CT. sagittal reformat. 371x594 px. the image spans 371 mm across. 15 vertebrae labeled in this scan
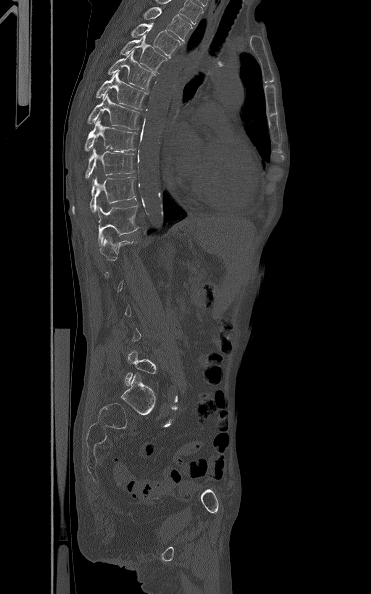

Boxes are given in columns x1, y1, x2, y2, the pixel coordinates of their top-left and bottom-right corners.
A vertebra is boxed only from the first to the last slice where its cross-section is at least a third of its largest; slices outside that range leave it without a box.
| vertebra | x1 | y1 | x2 | y2 |
|---|---|---|---|---|
| T3 | 143 | 7 | 192 | 41 |
| T4 | 131 | 23 | 183 | 58 |
| T5 | 120 | 34 | 168 | 72 |
| T6 | 108 | 50 | 155 | 90 |
| T7 | 95 | 70 | 147 | 109 |
| T8 | 87 | 93 | 139 | 129 |
| T9 | 84 | 119 | 136 | 152 |
| T10 | 84 | 148 | 135 | 178 |
| T11 | 72 | 177 | 135 | 213 |
| T12 | 97 | 205 | 140 | 245 |
| L5 | 125 | 350 | 156 | 385 |